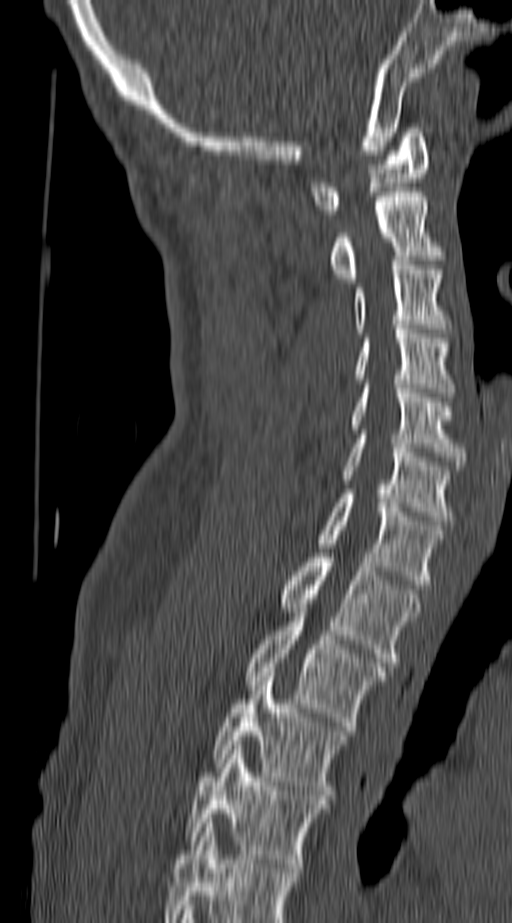

CT spine. sagittal view
Boxes: x1:y1:x2:y2 in pixels.
In this scan, the topmost labeled vertebra is C1 and the lowest is T4.
Vertebra bounding boxes:
- C1: 312:128:428:214
- C2: 330:192:439:282
- C3: 354:265:447:333
- C4: 356:329:454:397
- C5: 352:384:465:465
- C6: 341:434:450:525
- C7: 320:494:443:584
- T1: 279:553:421:666
- T2: 246:613:384:730
- T3: 213:672:348:799
- T4: 188:745:326:868